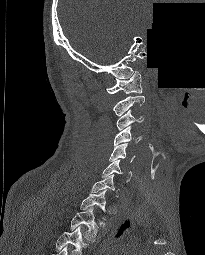
CT spine. 205 mm across the image. sagittal view. Bone window (WL 400, WW 1800). 205x255 px. part of the image has been replaced by a constant value
In this scan, the topmost labeled vertebra is C1 and the lowest is T2.
<vertebrae><v name="C1" x1="105" y1="71" x2="142" y2="93"/><v name="C2" x1="113" y1="96" x2="144" y2="116"/><v name="C3" x1="116" y1="109" x2="143" y2="130"/><v name="C4" x1="114" y1="126" x2="141" y2="145"/><v name="C5" x1="109" y1="143" x2="135" y2="162"/><v name="C6" x1="102" y1="159" x2="131" y2="182"/><v name="C7" x1="92" y1="174" x2="119" y2="197"/><v name="T1" x1="80" y1="189" x2="106" y2="219"/><v name="T2" x1="69" y1="207" x2="98" y2="241"/></vertebrae>